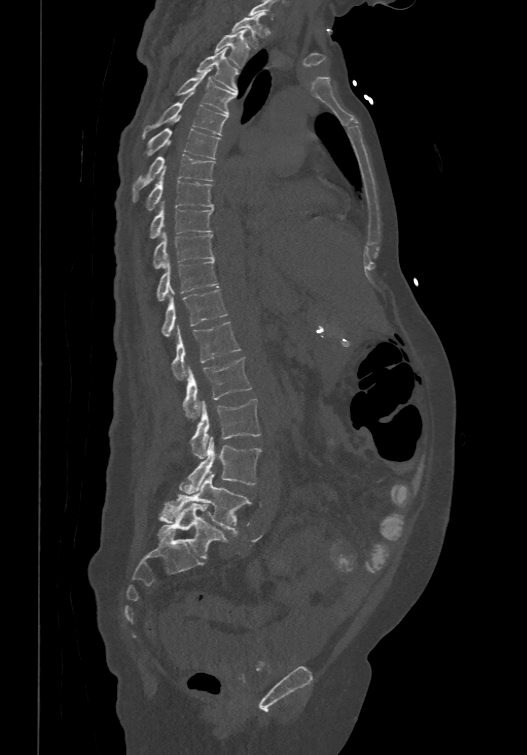 CT spine · sagittal reformat

Boxes are (x1, y1, x2, y2) in pixels.
In this scan, the topmost labeled vertebra is T1 and the lowest is L6.
The labels name a sixth lumbar vertebra for this spine: L6, after L5.
Vertebra bounding boxes:
- L6: (157, 503, 229, 558)
- L5: (158, 474, 251, 531)
- L4: (179, 436, 261, 494)
- L3: (190, 398, 260, 458)
- L2: (182, 356, 251, 418)
- L1: (171, 321, 241, 380)
- T12: (160, 288, 227, 335)
- T11: (155, 257, 218, 300)
- T10: (152, 232, 215, 267)
- T9: (149, 202, 213, 239)
- T8: (143, 170, 213, 210)
- T7: (132, 153, 215, 200)
- T6: (142, 127, 220, 157)
- T5: (142, 92, 227, 138)
- T4: (178, 68, 236, 114)
- T3: (196, 47, 238, 91)
- T2: (214, 29, 249, 66)
- T1: (232, 12, 265, 48)